CT; sagittal view; 607x607 px; 486 mm across the image
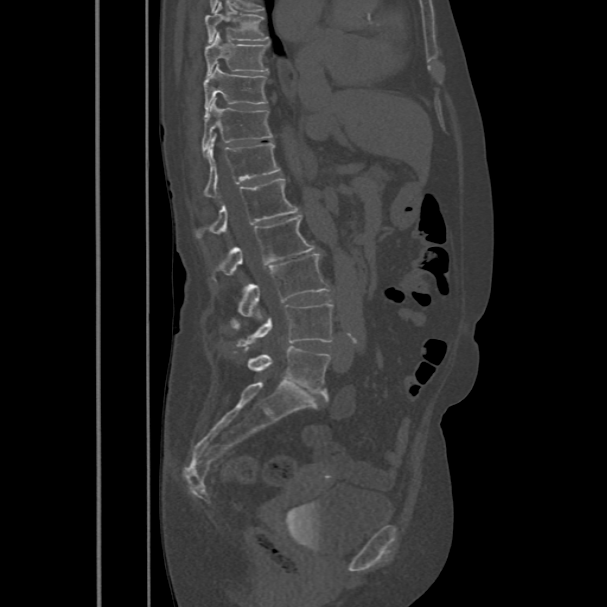 Boxes are given in columns x1, y1, x2, y2, the pixel coordinates of their top-left and bottom-right corners.
| vertebra | x1 | y1 | x2 | y2 |
|---|---|---|---|---|
| T8 | 205 | 3 | 268 | 42 |
| T9 | 204 | 32 | 268 | 75 |
| T10 | 203 | 63 | 266 | 112 |
| T11 | 202 | 97 | 272 | 151 |
| T12 | 204 | 133 | 280 | 196 |
| L1 | 196 | 178 | 299 | 237 |
| L2 | 218 | 216 | 315 | 275 |
| L3 | 230 | 253 | 330 | 326 |
| L4 | 238 | 302 | 332 | 345 |
| L5 | 248 | 346 | 330 | 395 |